Spine CT. Sagittal slice 210/512. the image is 446 mm wide. Bone window (WL 400, WW 1800). scan covers 17 annotated vertebrae
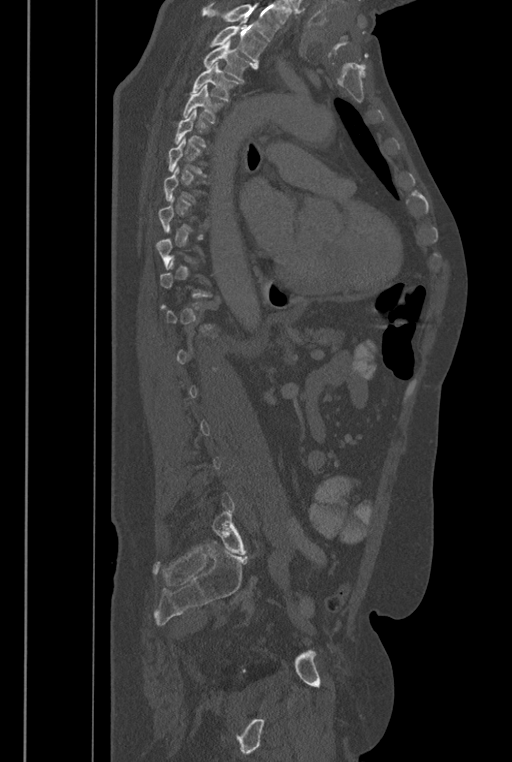

Box edges are left/top/right/bottom in pixels.
A vertebra is boxed only from the first to the last slice where its cross-section is at least a third of its largest; slices outside that range leave it without a box.
Where the top of the scan cuts through a vertebra, that vertebra gets no label or box.
These labels give the spine a sixth lumbar vertebra, L6, below L5.
Vertebra bounding boxes:
- T2: left=210, top=21, right=266, bottom=68
- T3: left=203, top=40, right=253, bottom=84
- T4: left=190, top=62, right=238, bottom=100
- T5: left=182, top=84, right=223, bottom=123
- L6: left=212, top=511, right=247, bottom=554